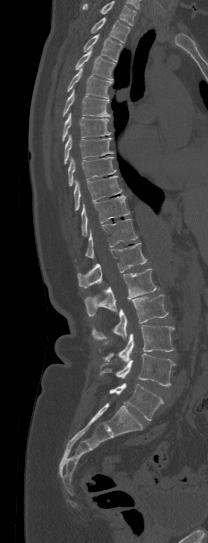

CT spine · sagittal view
Columns x1, y1, x2, y2 give each box's top-left and bottom-right pixels.
A vertebra cut off by the top edge of the scan is not labeled and has no box.
| vertebra | x1 | y1 | x2 | y2 |
|---|---|---|---|---|
| T1 | 90 | 17 | 130 | 43 |
| T2 | 83 | 34 | 122 | 61 |
| T3 | 75 | 48 | 114 | 80 |
| T4 | 67 | 68 | 111 | 98 |
| T5 | 63 | 89 | 110 | 116 |
| T6 | 62 | 113 | 111 | 140 |
| T7 | 64 | 135 | 114 | 164 |
| T8 | 68 | 157 | 115 | 185 |
| T9 | 73 | 176 | 121 | 209 |
| T10 | 81 | 195 | 129 | 236 |
| T11 | 85 | 219 | 137 | 258 |
| T12 | 77 | 242 | 146 | 288 |
| L1 | 85 | 268 | 156 | 316 |
| L2 | 92 | 294 | 168 | 339 |
| L3 | 102 | 325 | 174 | 361 |
| L4 | 99 | 353 | 176 | 386 |
| L5 | 109 | 383 | 162 | 420 |